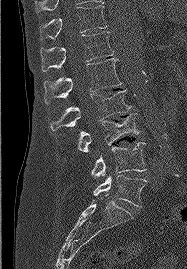 Spine CT; sagittal view; bone-window reconstruction; 187x269 px
Each vertebra maps to its box as [x1, y1, x2, y2], the pixel coordinates of its top-left and bottom-right corners.
{"vertebrae":{"T11":[40,5,106,39],"T12":[40,31,113,71],"L1":[44,58,122,104],"L2":[50,90,130,131],"L3":[77,113,139,152],"L4":[91,142,146,176],"L5":[93,175,146,206]}}